CT, spine — Sagittal slice 243/512 — W/L 1800/400 HU — 650x407 px — 390 mm wide — a portion of the image is blanked out (constant pixel value)
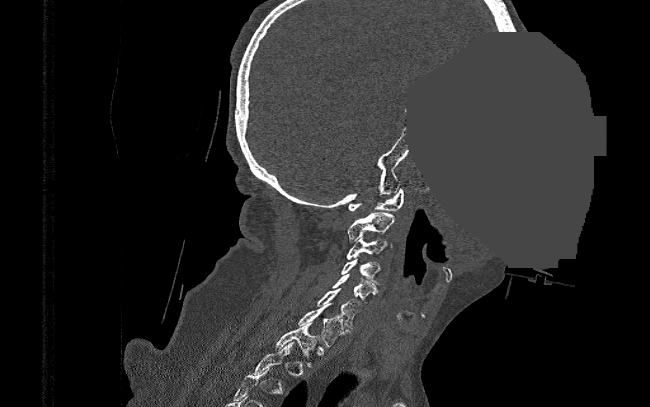
Coordinates as <box>x1,y1,x2,y2</box>.
Not every vertebra on this slice has a box: a vertebra is boxed only from the first to the last slice where its cross-section is at least a third of its largest, and this slice is outside that range for at least one of them.
C1: <box>348,187,404,211</box>
C2: <box>348,212,394,241</box>
C3: <box>347,237,393,259</box>
C4: <box>342,259,380,285</box>
C5: <box>333,274,377,302</box>
C6: <box>317,288,361,328</box>
C7: <box>298,303,346,345</box>
T1: <box>274,322,318,367</box>